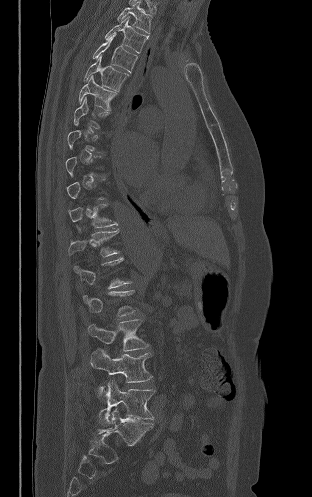
Spine computed tomography. image 312 mm wide. sagittal view
Each vertebra maps to its box as [x1, y1, x2, y2], the pixel coordinates of its top-left and bottom-right corners.
A vertebra is boxed only from the first to the last slice where its cross-section is at least a third of its largest; slices outside that range leave it without a box.
{"vertebrae":{"L5":[99,380,155,426],"L4":[90,349,152,393],"L3":[88,319,148,351],"T12":[68,229,119,256],"T11":[68,204,117,227],"T6":[79,75,117,110],"T5":[84,55,128,92],"T4":[92,35,137,72],"T3":[105,16,148,53],"T2":[117,1,151,33]}}